CT. the image is 350 mm wide. Sagittal slice 219/512. bone window. 512x712 px
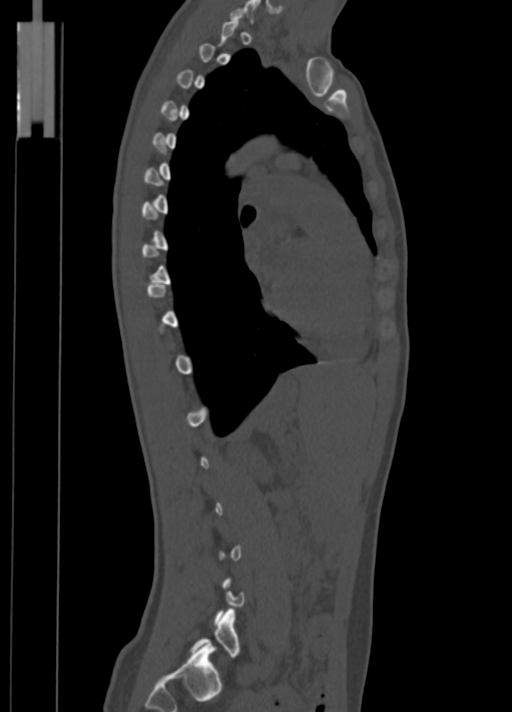
Each box given as x1,y1,x2,y2. Not every vertebra on this slice has a box: a vertebra is boxed only from the first to the last slice where its cross-section is at least a third of its largest, and this slice is outside that range for at least one of them. The labeled vertebrae in this slice are: C7 at x1=229, y1=0, x2=259, y2=22, L5 at x1=190, y1=609, x2=240, y2=657.